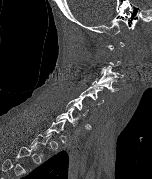
CT — sagittal view — image width 152 mm

Box edges are left/top/right/bottom in pixels.
A vertebra is boxed only from the first to the last slice where its cross-section is at least a third of its largest; slices outside that range leave it without a box.
C3: left=98, top=65, right=123, bottom=83
C4: left=92, top=77, right=118, bottom=92
C5: left=79, top=86, right=103, bottom=105
C6: left=65, top=97, right=91, bottom=129
C7: left=55, top=107, right=89, bottom=130